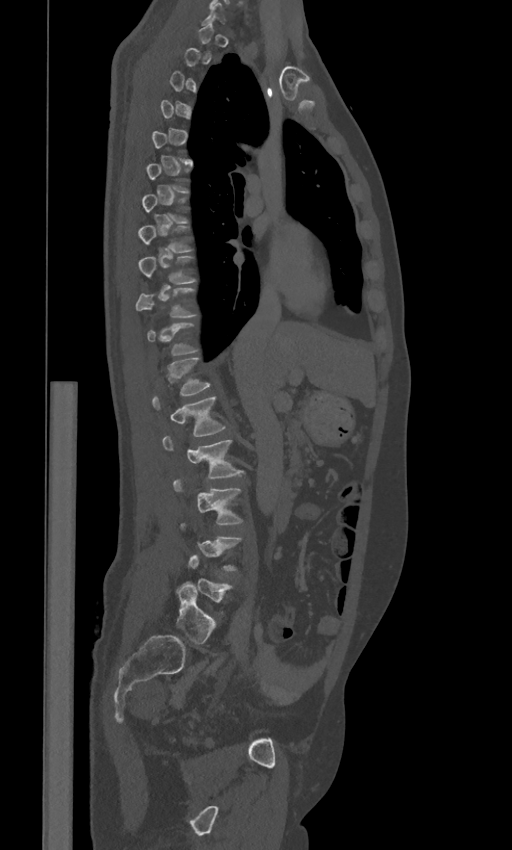 Spine CT — sagittal reformat — 512x850 px — image 443 mm wide
Each box is [x1, y1, x2, y2] in pixels: top-left corner, then bottom-right corner.
A vertebra gets a box only on the slices from the first to the last where its cross-section is at least a third of its largest; on a slice outside that range it gets none.
In these labels the spine has an L6, a sixth lumbar vertebra below L5.
{"vertebrae":{"L6":[175,581,215,643],"L3":[173,478,243,524],"L2":[163,436,244,477],"L1":[152,396,225,436],"T12":[168,358,210,395],"T10":[135,287,197,317],"T9":[139,256,197,284],"T8":[139,226,192,253]}}